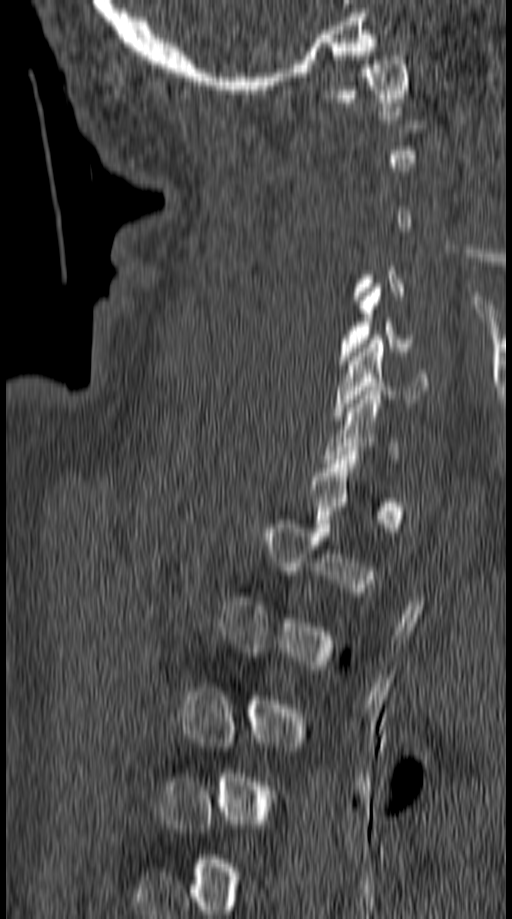

Computed tomography of the spine. sagittal view. bone-window reconstruction. 512x919 px
A vertebra gets a box only on the slices from the first to the last where its cross-section is at least a third of its largest; on a slice outside that range it gets none.
<vertebrae><v name="C6" x1="333" y1="339" x2="430" y2="420"/><v name="C1" x1="334" y1="56" x2="406" y2="111"/></vertebrae>